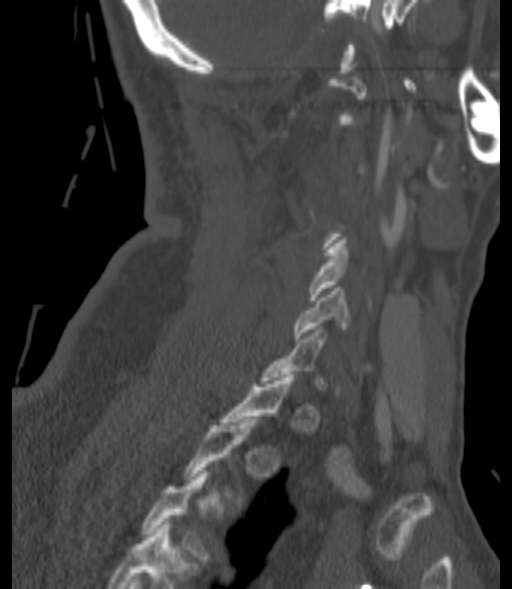 CT; sagittal view; bone-window reconstruction; the image spans 200 mm across; 512x589 px
Boxes: x1:y1:x2:y2 in pixels.
Not every vertebra on this slice has a box: a vertebra is boxed only from the first to the last slice where its cross-section is at least a third of its largest, and this slice is outside that range for at least one of them.
Vertebra bounding boxes:
- C5: 307:240:345:300
- C6: 294:288:348:341